Computed tomography of the spine — sagittal reformat — the image spans 368 mm across
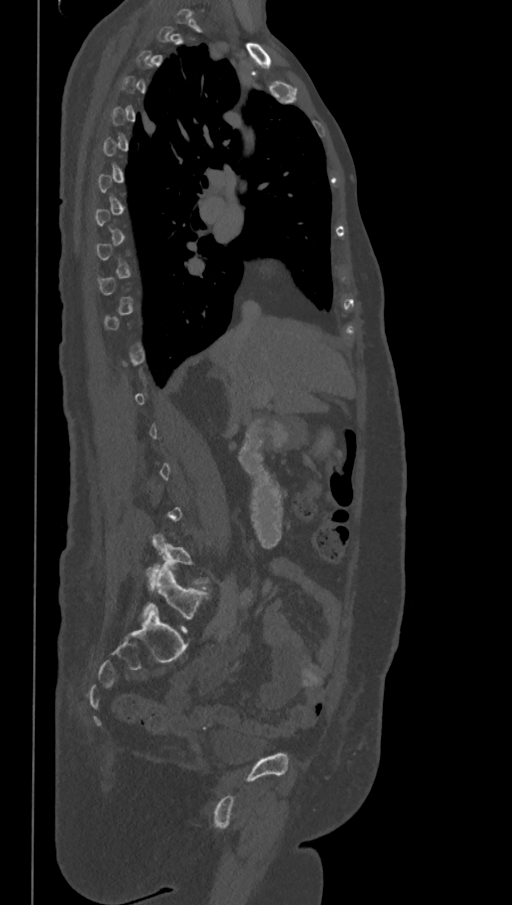
A vertebra gets a box only on the slices from the first to the last where its cross-section is at least a third of its largest; on a slice outside that range it gets none.
The labels name a sixth lumbar vertebra for this spine: L6, after L5.
<vertebrae><v name="L6" x1="142" y1="565" x2="209" y2="619"/><v name="L5" x1="147" y1="532" x2="209" y2="583"/></vertebrae>